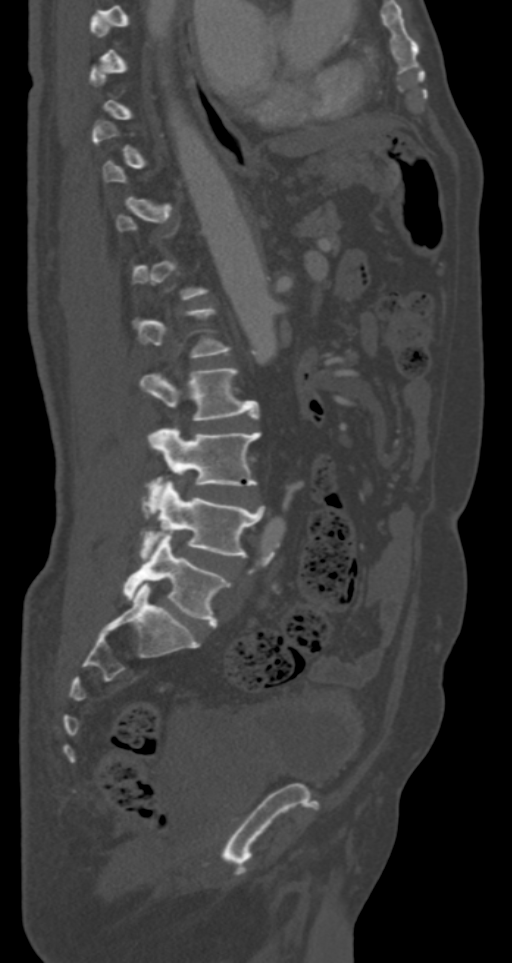
Spine CT · 287 mm image width · sagittal view
Boxes: x1:y1:x2:y2 in pixels. Each vertebra is boxed only on the slices from the first to the last where its cross-section reaches a third of its largest, so a slice outside that range leaves it unboxed. The labeled vertebrae in this slice are: L2 at 141:367:259:420, L3 at 148:428:261:500, L4 at 141:481:264:557, L5 at 123:534:229:627.